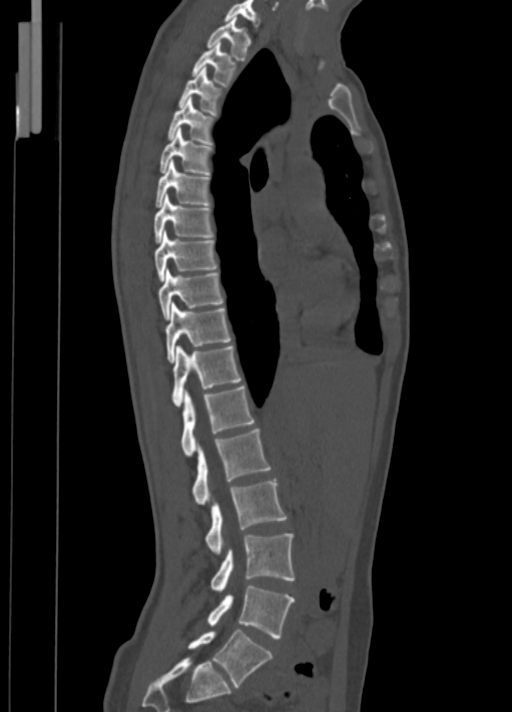 Spine computed tomography — 350 mm across the image — sagittal view — W/L 1800/400 HU — 512x712 px

Columns x1, y1, x2, y2 give each box's top-left and bottom-right pixels.
| vertebra | x1 | y1 | x2 | y2 |
|---|---|---|---|---|
| L5 | 188 | 629 | 272 | 687 |
| L4 | 207 | 585 | 294 | 638 |
| L3 | 210 | 534 | 294 | 590 |
| L2 | 205 | 480 | 287 | 553 |
| L1 | 191 | 429 | 271 | 504 |
| T12 | 181 | 385 | 255 | 455 |
| T11 | 172 | 345 | 242 | 406 |
| T10 | 165 | 303 | 231 | 362 |
| T9 | 159 | 268 | 224 | 319 |
| T8 | 155 | 231 | 218 | 281 |
| T7 | 153 | 195 | 214 | 243 |
| T6 | 155 | 159 | 211 | 207 |
| T5 | 159 | 129 | 212 | 175 |
| T4 | 168 | 97 | 214 | 144 |
| T3 | 178 | 67 | 223 | 115 |
| T2 | 191 | 42 | 237 | 87 |
| T1 | 206 | 16 | 251 | 60 |
| C7 | 224 | 0 | 261 | 27 |